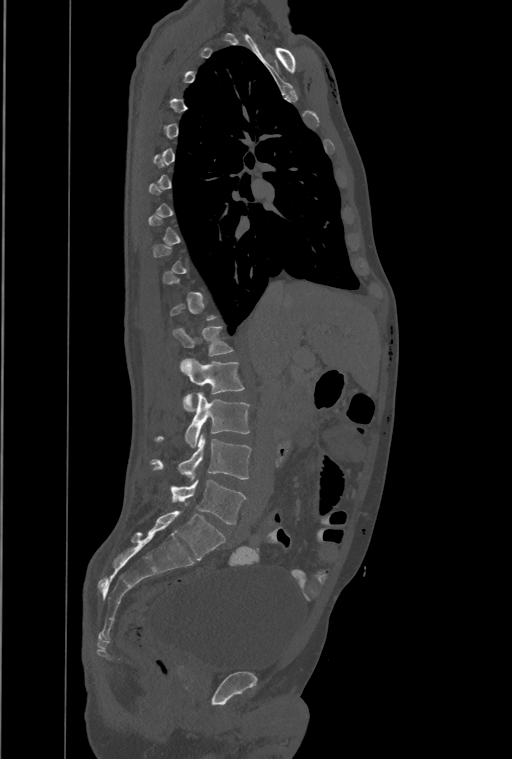 CT, spine. sagittal view. bone-window reconstruction. 461 mm image width. 512x759 px

In the table, x1 and y1 are a box's top-left corner and x2 and y2 its bottom-right corner, in pixels.
A vertebra gets a box only on the slices from the first to the last where its cross-section is at least a third of its largest; on a slice outside that range it gets none.
This scan's labels start at T1 at the top and end at L4 at the bottom.
In these labels the spine has a T13, a thirteenth thoracic vertebra, between T12 and L1.
| vertebra | x1 | y1 | x2 | y2 |
|---|---|---|---|---|
| T13 | 173 | 326 | 233 | 356 |
| L1 | 182 | 358 | 244 | 411 |
| L2 | 157 | 392 | 249 | 447 |
| L3 | 151 | 435 | 251 | 479 |
| L4 | 171 | 480 | 245 | 524 |